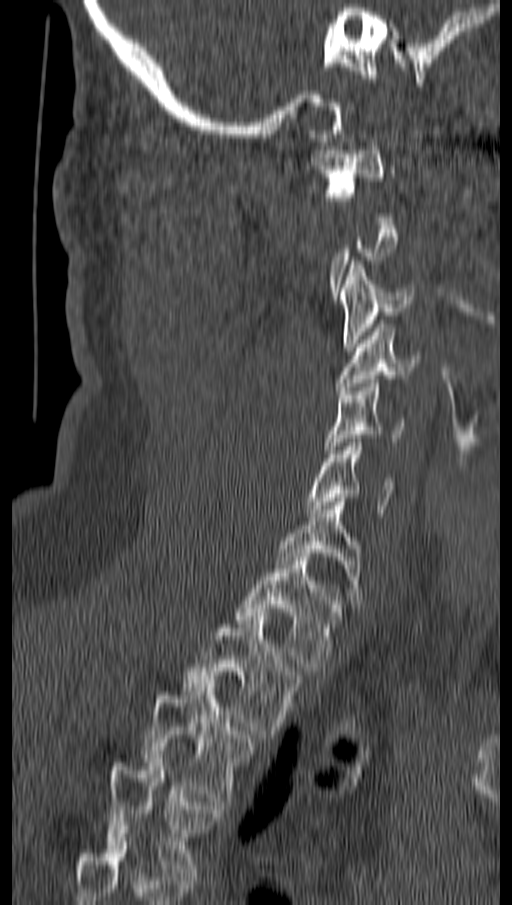
CT; sagittal reformat

Coordinates as <box>x1,y1,x2,y2</box>.
Not every vertebra on this slice has a box: a vertebra is boxed only from the first to the last slice where its cross-section is at least a third of its largest, and this slice is outside that range for at least one of them.
Vertebra bounding boxes:
- C1: <box>311,142,393,200</box>
- C3: <box>339,261,412,351</box>
- C4: <box>336,324,423,394</box>
- C5: <box>327,379,405,453</box>
- C6: <box>304,439,396,513</box>
- C7: <box>279,502,360,603</box>
- T1: <box>235,557,341,671</box>
- T2: <box>184,616,300,738</box>
- T3: <box>143,683,253,805</box>
- T4: <box>105,759,221,876</box>